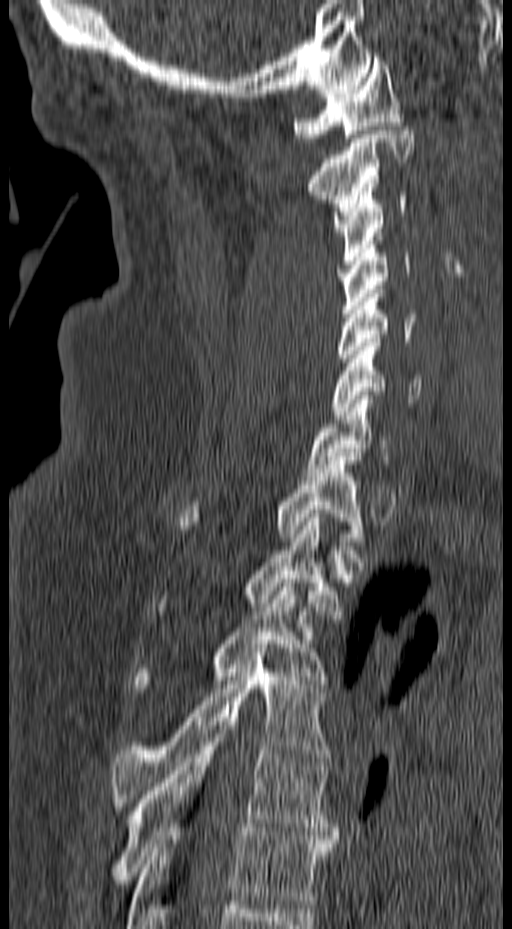
CT — sagittal view — the image is 157 mm wide — 512x929 px

Each vertebra maps to its box as [x1, y1, x2, y2], the pixel coordinates of its top-left and bottom-right corners.
{"vertebrae":{"C1":[291,57,405,142],"C2":[304,126,414,231],"C3":[332,183,407,264],"C4":[337,236,411,317],"C5":[336,285,416,362],"C6":[331,338,421,419],"C7":[305,391,393,476],"T1":[174,457,366,545],"T2":[151,514,343,615],"T3":[132,579,329,692],"T4":[111,648,333,810],"T5":[106,726,339,884],"T6":[125,828,336,928]}}